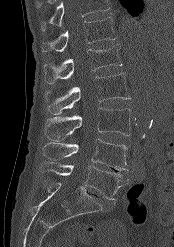

Computed tomography of the spine · sagittal view · 174x247 px

Box edges are left/top/right/bottom in pixels. Vertebrae that run past the top of the scan are left unlabeled. Vertebrae labeled: T12 at left=42, top=17, right=116, bottom=52, L1 at left=43, top=44, right=122, bottom=84, L2 at left=44, top=73, right=130, bottom=114, L3 at left=45, top=107, right=131, bottom=141, L4 at left=42, top=138, right=128, bottom=170, L5 at left=39, top=161, right=129, bottom=200.